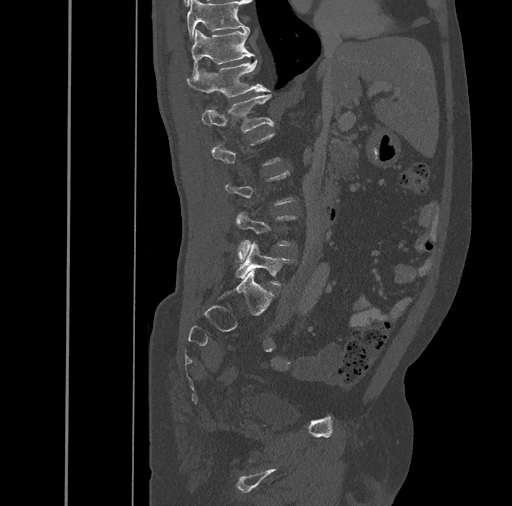

CT, spine. sagittal view. 461 mm wide

Coordinates as <box>x1,y1,x2,y2</box>.
Not every vertebra on this slice has a box: a vertebra is boxed only from the first to the last slice where its cross-section is at least a third of its largest, and this slice is outside that range for at least one of them.
T10: <box>187,0,246,41</box>
T11: <box>191,28,254,75</box>
T12: <box>187,59,270,97</box>
L1: <box>201,95,274,132</box>
L4: <box>236,212,296,261</box>
L5: <box>236,242,292,285</box>